Spine CT · sagittal view · bone window · 18 vertebrae labeled in this scan
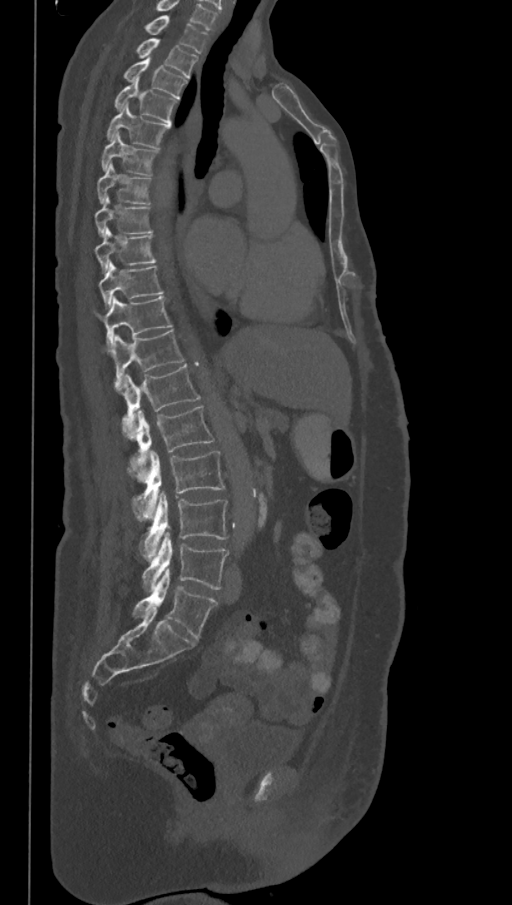
Each box given as x1,y1,x2,y2.
Labels in this scan begin with T1 at the top and end with L6 at the bottom.
The labels name a sixth lumbar vertebra for this spine: L6, after L5.
Vertebra bounding boxes:
- T1: x1=146, y1=15, x2=207, y2=53
- T2: x1=136, y1=39, x2=198, y2=78
- T3: x1=124, y1=56, x2=187, y2=99
- T4: x1=115, y1=79, x2=177, y2=123
- T5: x1=107, y1=104, x2=170, y2=148
- T6: x1=101, y1=131, x2=157, y2=176
- T7: x1=97, y1=163, x2=149, y2=204
- T8: x1=94, y1=198, x2=152, y2=237
- T9: x1=94, y1=228, x2=155, y2=273
- T10: x1=99, y1=262, x2=163, y2=306
- T11: x1=93, y1=298, x2=171, y2=348
- T12: x1=103, y1=331, x2=184, y2=390
- L1: x1=120, y1=364, x2=201, y2=440
- L2: x1=129, y1=406, x2=214, y2=484
- L3: x1=132, y1=451, x2=224, y2=520
- L4: x1=140, y1=491, x2=227, y2=560
- L5: x1=142, y1=531, x2=228, y2=591
- L6: x1=132, y1=568, x2=217, y2=640